CT, spine; Sagittal slice 255/512; Bone window (WL 400, WW 1800); image width 200 mm
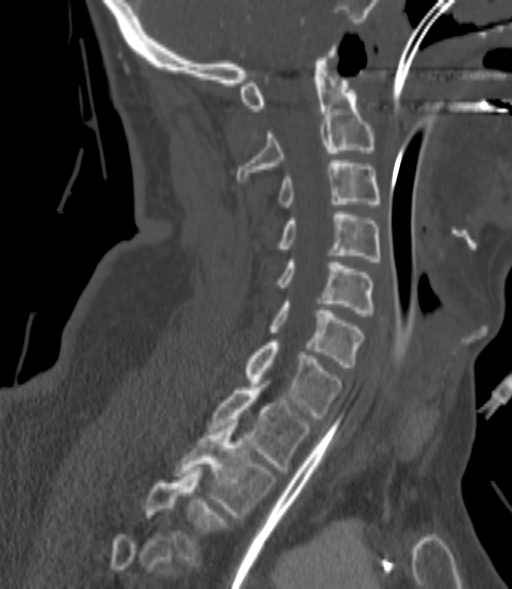

Each row gives a vertebra's box as x1, y1, x2, y2 in pixels: top-left corner, then bottom-right corner.
A vertebra gets a box only on the slices from the first to the last where its cross-section is at least a third of its largest; on a slice outside that range it gets none.
| vertebra | x1 | y1 | x2 | y2 |
|---|---|---|---|---|
| C2 | 236 | 48 | 374 | 181 |
| C3 | 277 | 160 | 379 | 207 |
| C4 | 275 | 211 | 381 | 261 |
| C5 | 275 | 259 | 374 | 316 |
| C6 | 270 | 301 | 363 | 367 |
| C7 | 244 | 339 | 343 | 418 |
| T1 | 208 | 387 | 310 | 473 |
| T2 | 175 | 422 | 276 | 517 |
| T3 | 144 | 470 | 230 | 565 |